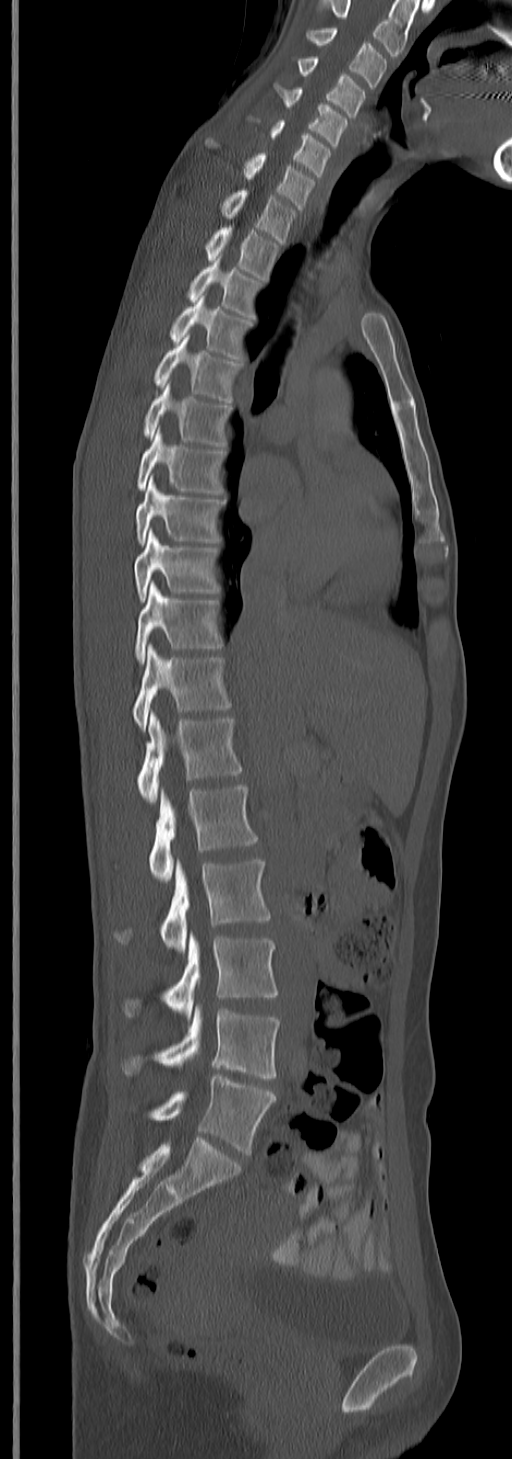
Computed tomography of the spine — sagittal view — 512x1459 px
This scan's labels start at C3 at the top and end at L5 at the bottom.
<vertebrae><v name="C3" x1="308" y1="28" x2="386" y2="87"/><v name="C4" x1="297" y1="57" x2="365" y2="117"/><v name="C5" x1="274" y1="82" x2="349" y2="146"/><v name="C6" x1="262" y1="120" x2="332" y2="177"/><v name="C7" x1="243" y1="153" x2="315" y2="209"/><v name="T1" x1="220" y1="189" x2="298" y2="242"/><v name="T2" x1="205" y1="226" x2="280" y2="280"/><v name="T3" x1="189" y1="260" x2="261" y2="317"/><v name="T4" x1="170" y1="297" x2="252" y2="359"/><v name="T5" x1="153" y1="335" x2="242" y2="403"/><v name="T6" x1="143" y1="383" x2="232" y2="447"/><v name="T7" x1="136" y1="429" x2="225" y2="493"/><v name="T8" x1="134" y1="477" x2="225" y2="543"/><v name="T9" x1="134" y1="529" x2="219" y2="602"/><v name="T10" x1="134" y1="582" x2="223" y2="664"/><v name="T11" x1="132" y1="644" x2="232" y2="729"/><v name="T12" x1="136" y1="711" x2="242" y2="802"/><v name="L1" x1="149" y1="784" x2="259" y2="882"/><v name="L2" x1="115" y1="860" x2="271" y2="953"/><v name="L3" x1="124" y1="933" x2="277" y2="1018"/><v name="L4" x1="122" y1="1004" x2="280" y2="1078"/><v name="L5" x1="149" y1="1075" x2="275" y2="1155"/></vertebrae>